Spine CT · sagittal reformat · W/L 1800/400 HU · 658x798 px
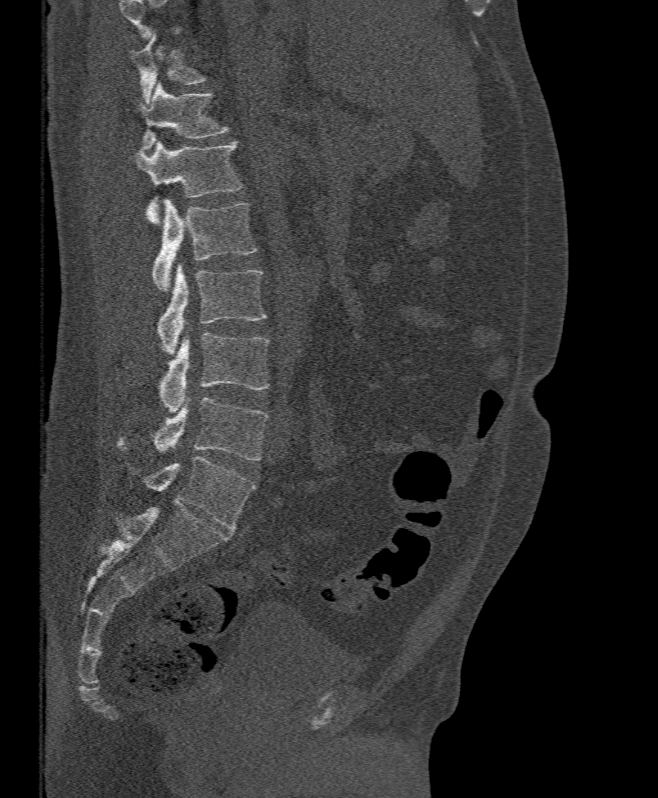

Vertebrae that run past the top of the scan are left unlabeled.
<vertebrae><v name="T11" x1="130" y1="32" x2="206" y2="102"/><v name="T12" x1="138" y1="83" x2="229" y2="150"/><v name="L1" x1="135" y1="140" x2="243" y2="224"/><v name="L2" x1="152" y1="198" x2="257" y2="291"/><v name="L3" x1="157" y1="263" x2="265" y2="352"/><v name="L4" x1="159" y1="332" x2="269" y2="412"/><v name="L5" x1="117" y1="397" x2="269" y2="461"/></vertebrae>